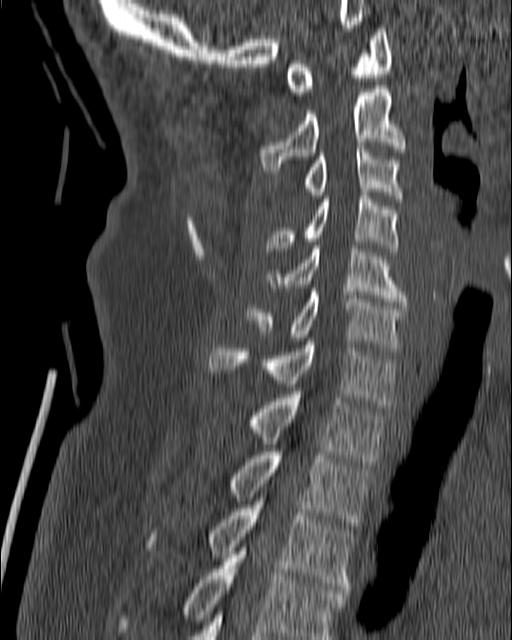 Spine CT — sagittal view
Each vertebra maps to its box as [x1, y1, x2, y2], the pixel coordinates of its top-left and bottom-right corners.
{"vertebrae":{"C1":[285,28,392,95],"C2":[260,85,406,173],"C3":[302,146,404,202],"C4":[265,192,398,251],"C5":[265,245,407,305],"C6":[246,288,407,347],"C7":[209,341,398,408],"T1":[246,395,387,465],"T2":[226,452,373,532],"T3":[146,501,355,596],"T4":[118,544,347,639]}}